Spine computed tomography — 471 mm across the image — Sagittal slice 230/512
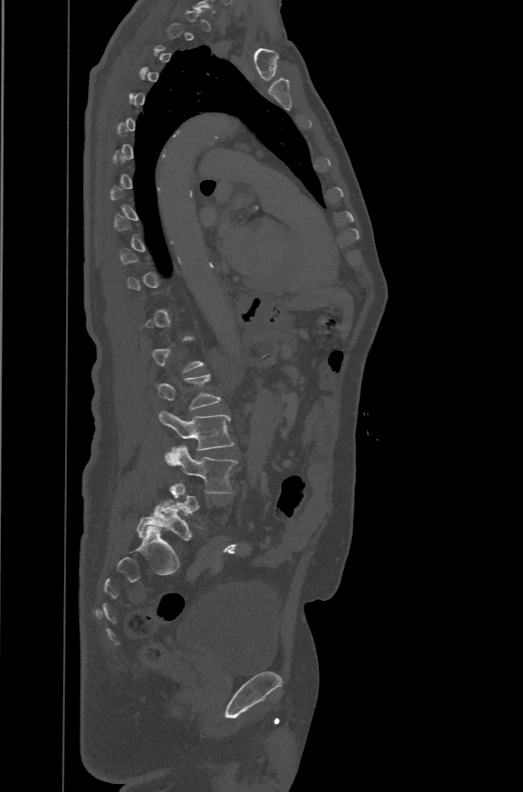
Each box given as x1,y1,x2,y2.
A vertebra gets a box only on the slices from the first to the last where its cross-section is at least a third of its largest; on a slice outside that range it gets none.
These labels give the spine a sixth lumbar vertebra, L6, below L5.
L2: x1=153, y1=373, x2=221, y2=409
L3: x1=158, y1=411, x2=234, y2=450
L4: x1=165, y1=445, x2=238, y2=493
L6: x1=137, y1=499, x2=192, y2=540